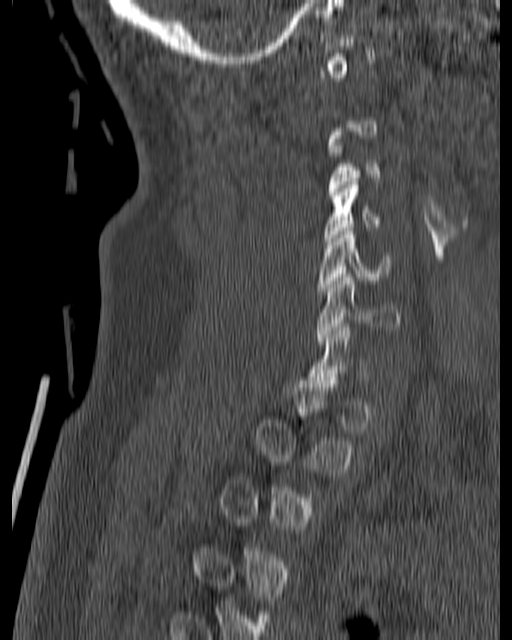
Spine CT — sagittal view — bone-window reconstruction — the image spans 180 mm across. Bounding boxes as [x1, y1, x2, y2] in pixel coordinates. Not every vertebra on this slice has a box: a vertebra is boxed only from the first to the last slice where its cross-section is at least a third of its largest, and this slice is outside that range for at least one of them. The labeled vertebrae in this slice are: C3 at [328, 149, 381, 195], C4 at [322, 178, 387, 244], C5 at [317, 228, 390, 294], C6 at [316, 274, 402, 344].